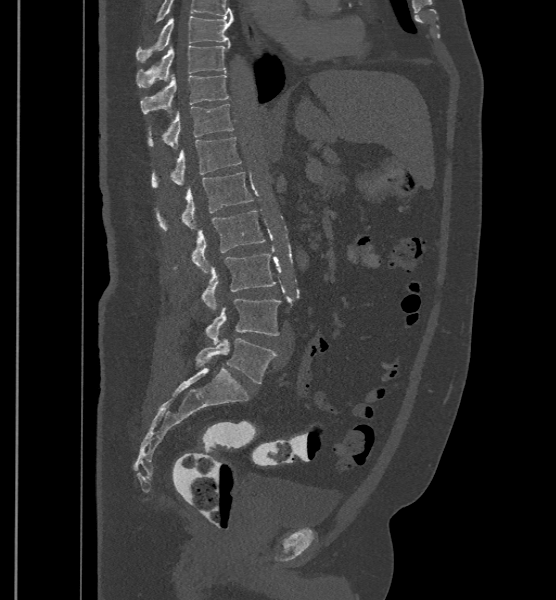

Computed tomography of the spine. sagittal view. the image is 500 mm wide. W/L 1800/400 HU. 556x600 px
Boxes: x1 y1 x2 y2 (pixel coords, space-separated).
This scan's labels start at T9 at the top and end at L6 at the bottom.
The labels name a sixth lumbar vertebra for this spine: L6, after L5.
T9: 136 16 232 62
T10: 137 43 230 87
T11: 140 73 229 113
T12: 148 103 233 148
L1: 151 137 241 187
L2: 155 171 253 230
L3: 174 210 266 272
L4: 201 253 276 310
L5: 205 299 280 344
L6: 195 338 276 383